Spine CT — sagittal reformat — W/L 1800/400 HU — 512x905 px — 11 vertebrae labeled in this scan
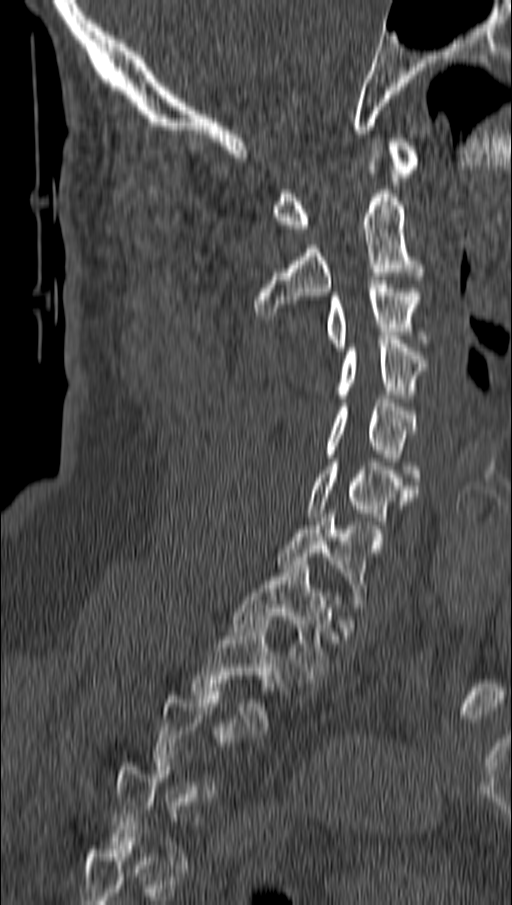 Coordinates as <box>x1,y1,x2,y2</box>.
A vertebra is boxed only from the first to the last slice where its cross-section is at least a third of its largest; slices outside that range leave it without a box.
Vertebra bounding boxes:
- T2: <box>194,620,278,726</box>
- T1: <box>232,561,332,675</box>
- C7: <box>276,510,370,596</box>
- C6: <box>308,458,417,524</box>
- C5: <box>327,399,417,481</box>
- C4: <box>339,336,427,398</box>
- C3: <box>327,280,420,351</box>
- C2: <box>254,190,424,315</box>
- C1: <box>273,138,419,232</box>